CT — sagittal reformat — bone-window reconstruction — image width 350 mm — scan covers 17 annotated vertebrae
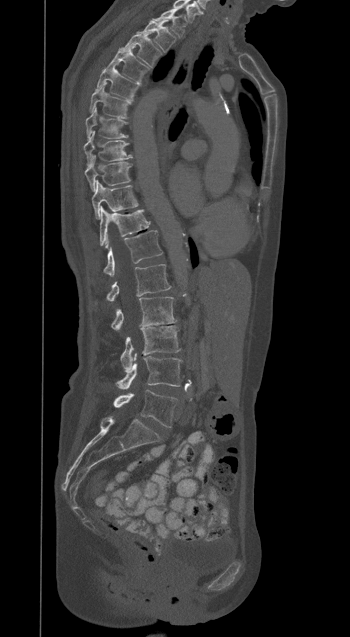

Each row gives a vertebra's box as x1, y1, x2, y2 in pixels: top-left corner, then bottom-right corner.
| vertebra | x1 | y1 | x2 | y2 |
|---|---|---|---|---|
| T1 | 154 | 7 | 186 | 37 |
| T2 | 138 | 20 | 175 | 52 |
| T3 | 121 | 34 | 162 | 67 |
| T4 | 107 | 48 | 148 | 82 |
| T5 | 97 | 66 | 139 | 100 |
| T6 | 89 | 85 | 130 | 117 |
| T7 | 85 | 107 | 127 | 139 |
| T8 | 83 | 131 | 131 | 166 |
| T9 | 85 | 155 | 130 | 191 |
| T10 | 92 | 181 | 138 | 218 |
| T11 | 100 | 206 | 149 | 246 |
| T12 | 104 | 230 | 162 | 275 |
| L1 | 106 | 264 | 170 | 301 |
| L2 | 111 | 297 | 176 | 330 |
| L3 | 120 | 326 | 180 | 370 |
| L4 | 116 | 354 | 181 | 389 |
| L5 | 113 | 390 | 177 | 427 |